Computed tomography of the spine · Sagittal slice 30/100 · bone window · 331x696 px
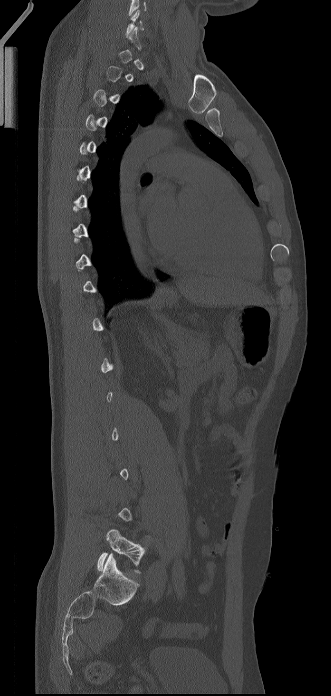
Bounding boxes as [x1, y1, x2, y2] in pixel coordinates. A vertebra gets a box only on the slices from the first to the last where its cross-section is at least a third of its largest; on a slice outside that range it gets none. Vertebrae labeled: C6 at [125, 8, 144, 37], L5 at [97, 529, 145, 573].